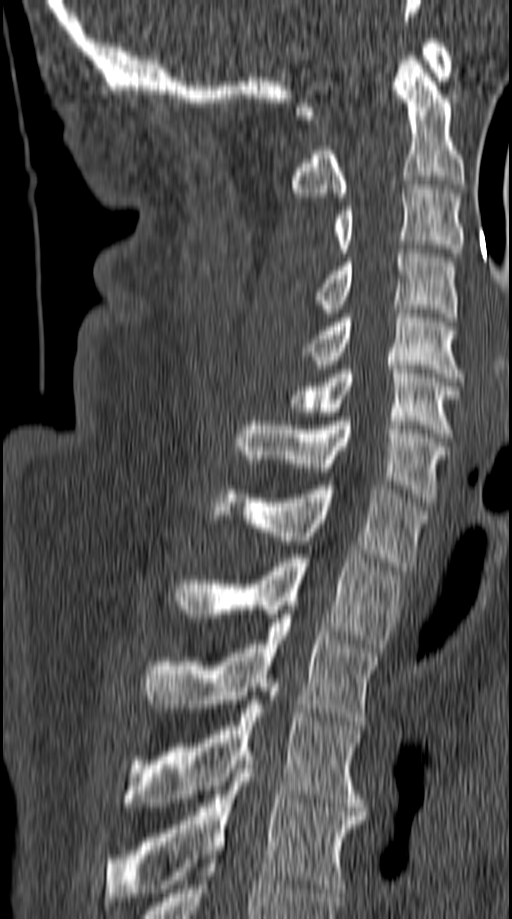
CT spine · sagittal reformat
Each box given as x1,y1,x2,y2.
Vertebra bounding boxes:
- C1: x1=293, y1=39, x2=451, y2=119
- C2: x1=291, y1=56, x2=464, y2=197
- C3: x1=335, y1=185, x2=464, y2=257
- C4: x1=314, y1=249, x2=457, y2=321
- C5: x1=304, y1=305, x2=466, y2=381
- C6: x1=286, y1=365, x2=461, y2=441
- C7: x1=235, y1=417, x2=450, y2=502
- T1: x1=207, y1=481, x2=426, y2=570
- T2: x1=180, y1=554, x2=402, y2=652
- T3: x1=142, y1=614, x2=378, y2=725
- T4: x1=127, y1=692, x2=364, y2=811
- T5: x1=105, y1=756, x2=365, y2=901